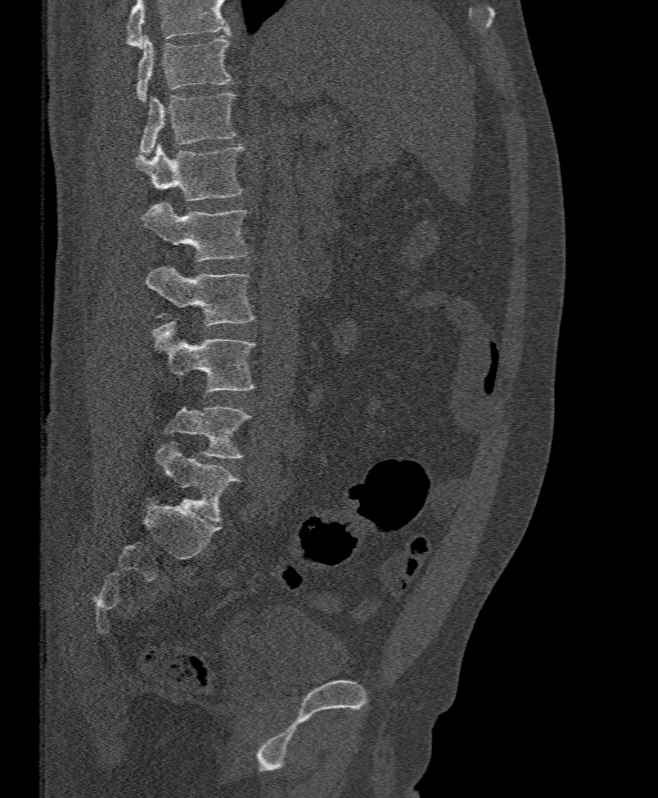

Computed tomography of the spine · sagittal reformat · bone-window reconstruction. Boxes: x1 y1 x2 y2 (pixel coords, space-separated). Where the top of the scan cuts through a vertebra, that vertebra gets no label or box. Vertebrae labeled: L5 at 165 407 251 459, L4 at 152 318 255 391, L3 at 145 265 255 326, L2 at 141 202 248 261, L1 at 135 143 243 201, T12 at 140 93 237 153, T11 at 135 35 232 101.